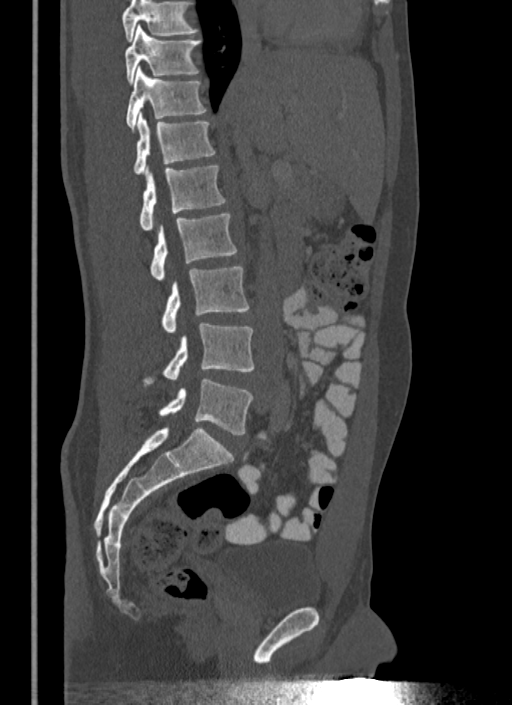

Spine computed tomography · sagittal view. Boxes: x1 y1 x2 y2 (pixel coords, space-separated).
Where the top of the scan cuts through a vertebra, that vertebra gets no label or box.
Vertebra bounding boxes:
- T10: 125 24 201 83
- T11: 126 66 207 132
- T12: 134 113 216 174
- L1: 140 166 226 231
- L2: 150 212 237 281
- L3: 161 267 249 333
- L4: 144 322 253 385
- L5: 159 378 253 434